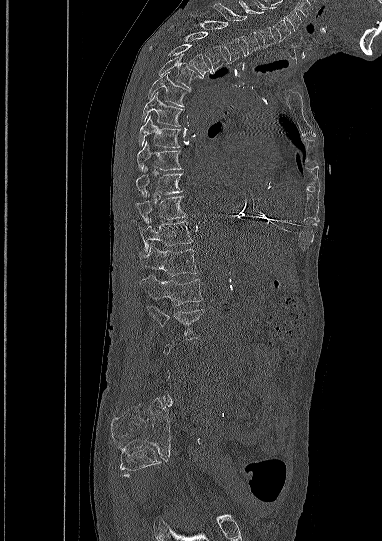
CT; sagittal reformat; Bone window (WL 400, WW 1800). Boxes: x1:y1:x2:y2 in pixels. Each vertebra is boxed only on the slices from the first to the last where its cross-section reaches a third of its largest, so a slice outside that range leaves it unboxed. The labeled vertebrae in this slice are: C5 at 254:0:291:41, C6 at 239:0:276:47, C7 at 214:2:259:54, T1 at 191:15:245:63, T2 at 184:31:228:71, T3 at 150:44:212:76, T4 at 158:54:202:89, T5 at 148:72:190:106, T6 at 141:92:183:126, T7 at 138:115:180:147, T8 at 137:141:180:171, T9 at 136:166:182:197, T10 at 136:196:186:223, T11 at 140:221:192:253, T12 at 140:243:198:276, L1 at 140:276:202:305, L2 at 147:305:203:339.